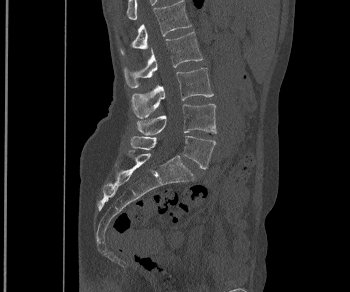 CT; sagittal reformat

Boxes: x1:y1:x2:y2 in pixels.
L1: 120:0:191:55
L2: 124:28:202:88
L3: 131:68:213:118
L4: 136:104:216:134
L5: 131:136:215:169